CT. Sagittal slice 72/164. Bone window (WL 400, WW 1800). 512x1258 px. an area of the scan was removed and filled with constant pixels
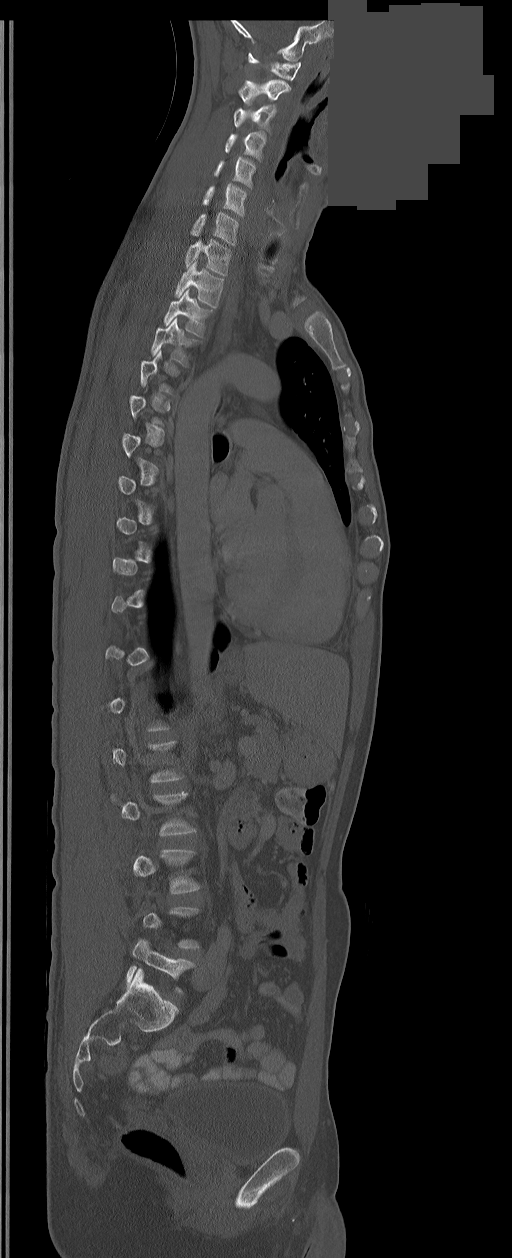

Boxes are (x1, y1, x2, y2) in pixels.
Not every vertebra on this slice has a box: a vertebra is boxed only from the first to the last slice where its cross-section is at least a third of its largest, and this slice is outside that range for at least one of them.
In these labels the spine has an L6, a sixth lumbar vertebra below L5.
C1: (248, 53, 301, 80)
C2: (239, 79, 290, 103)
C3: (233, 106, 276, 129)
C4: (224, 132, 265, 160)
C5: (214, 157, 255, 188)
C6: (202, 183, 246, 216)
C7: (190, 212, 238, 245)
T1: (185, 239, 230, 276)
T2: (174, 262, 223, 308)
T3: (164, 289, 210, 337)
T4: (151, 318, 195, 367)
L6: (126, 939, 194, 994)